Computed tomography of the spine. sagittal reformat
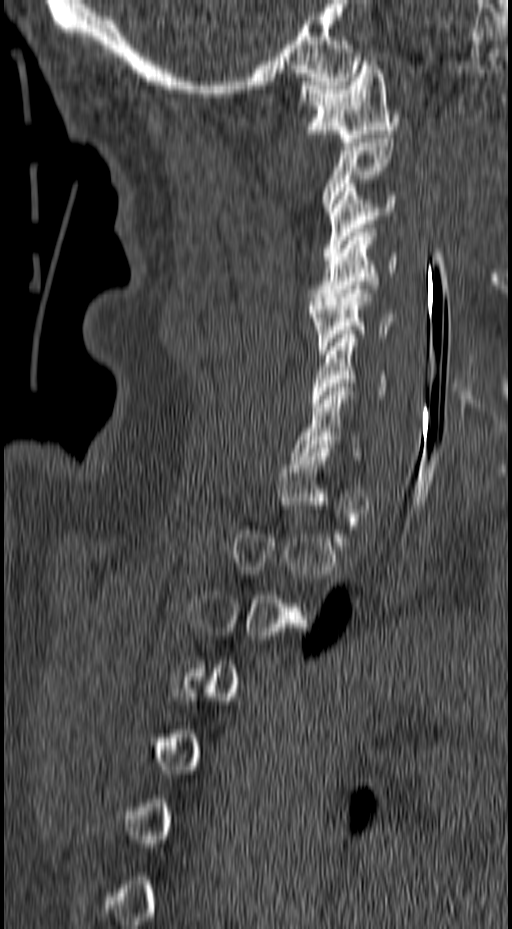
Bounding boxes as [x1, y1, x2, y2] in pixel coordinates.
A vertebra gets a box only on the slices from the first to the last where its cross-section is at least a third of its largest; on a slice outside that range it gets none.
C7: [291, 387, 359, 460]
C6: [311, 334, 387, 407]
C5: [309, 285, 395, 354]
C4: [309, 228, 398, 305]
C3: [322, 183, 396, 260]
C1: [299, 61, 399, 142]